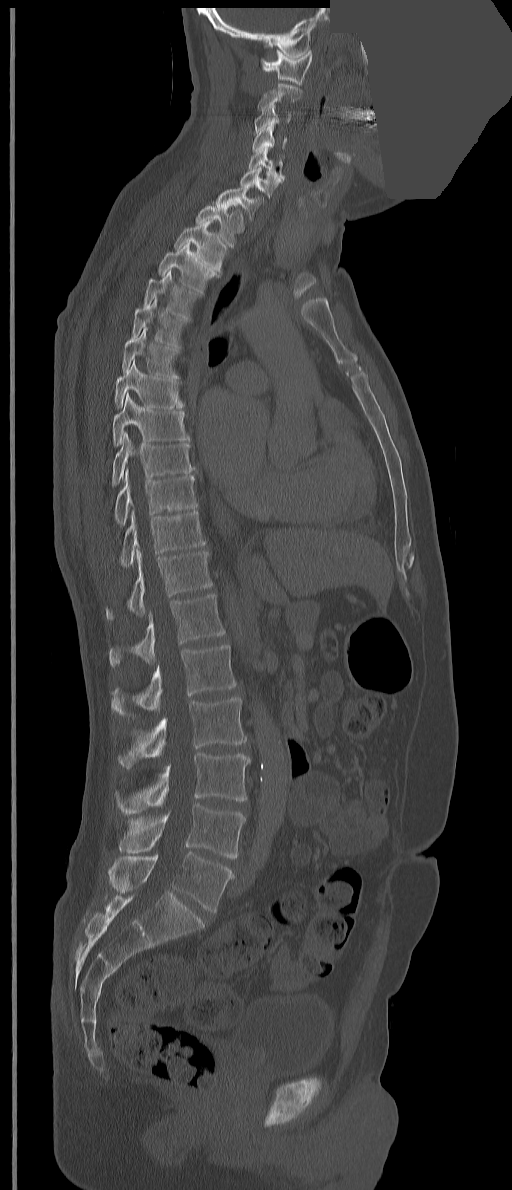
Spine CT · 351 mm wide · sagittal reformat · bone-window reconstruction · a uniform gray block covers part of the image
These labels give the spine a thirteenth thoracic vertebra: T13 sits between T12 and L1.
<vertebrae><v name="C1" x1="260" y1="49" x2="312" y2="84"/><v name="C2" x1="258" y1="83" x2="302" y2="113"/><v name="C3" x1="254" y1="105" x2="291" y2="133"/><v name="C4" x1="252" y1="125" x2="286" y2="152"/><v name="C5" x1="248" y1="146" x2="284" y2="179"/><v name="C6" x1="240" y1="167" x2="282" y2="197"/><v name="C7" x1="215" y1="184" x2="265" y2="220"/><v name="T1" x1="194" y1="202" x2="244" y2="247"/><v name="T2" x1="174" y1="220" x2="226" y2="273"/><v name="T3" x1="158" y1="242" x2="216" y2="294"/><v name="T4" x1="143" y1="270" x2="201" y2="321"/><v name="T5" x1="131" y1="296" x2="186" y2="349"/><v name="T6" x1="121" y1="327" x2="180" y2="378"/><v name="T7" x1="114" y1="359" x2="184" y2="409"/><v name="T8" x1="113" y1="392" x2="190" y2="446"/><v name="T9" x1="111" y1="432" x2="193" y2="486"/><v name="T10" x1="114" y1="469" x2="198" y2="526"/><v name="T11" x1="120" y1="510" x2="205" y2="567"/><v name="T12" x1="105" y1="549" x2="212" y2="619"/><v name="T13" x1="108" y1="594" x2="225" y2="667"/><v name="L1" x1="111" y1="645" x2="236" y2="717"/><v name="L2" x1="118" y1="697" x2="246" y2="768"/><v name="L3" x1="115" y1="753" x2="250" y2="813"/><v name="L4" x1="118" y1="804" x2="246" y2="858"/><v name="L5" x1="108" y1="852" x2="234" y2="912"/></vertebrae>